CT spine · Sagittal slice 110/186 · 186x206 px
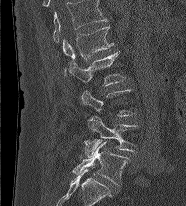 A vertebra gets a box only on the slices from the first to the last where its cross-section is at least a third of its largest; on a slice outside that range it gets none.
In this scan, the topmost labeled vertebra is L1 and the lowest is L5.
<vertebrae><v name="L5" x1="73" y1="141" x2="129" y2="185"/><v name="L4" x1="83" y1="116" x2="138" y2="157"/><v name="L2" x1="67" y1="51" x2="125" y2="86"/><v name="L1" x1="62" y1="26" x2="114" y2="76"/></vertebrae>